Spine CT; sagittal view; bone window; 512x634 px; 10 vertebrae labeled in this scan
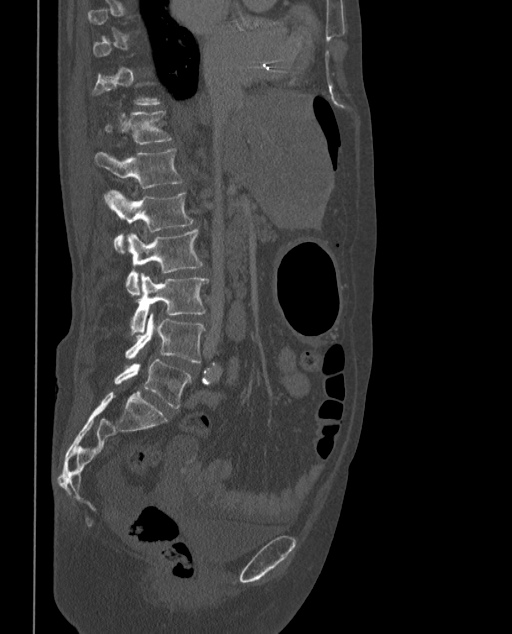 Each box given as x1,y1,x2,y2.
A vertebra gets a box only on the slices from the first to the last where its cross-section is at least a third of its largest; on a slice outside that range it gets none.
In these labels the spine has an L6, a sixth lumbar vertebra below L5.
Vertebra bounding boxes:
- T12: x1=104, y1=111, x2=172, y2=145
- L1: x1=95, y1=149, x2=183, y2=188
- L2: x1=106, y1=190, x2=194, y2=252
- L3: x1=126, y1=229, x2=202, y2=295
- L4: x1=130, y1=273, x2=209, y2=334
- L5: x1=125, y1=313, x2=205, y2=362
- L6: x1=114, y1=359, x2=191, y2=408